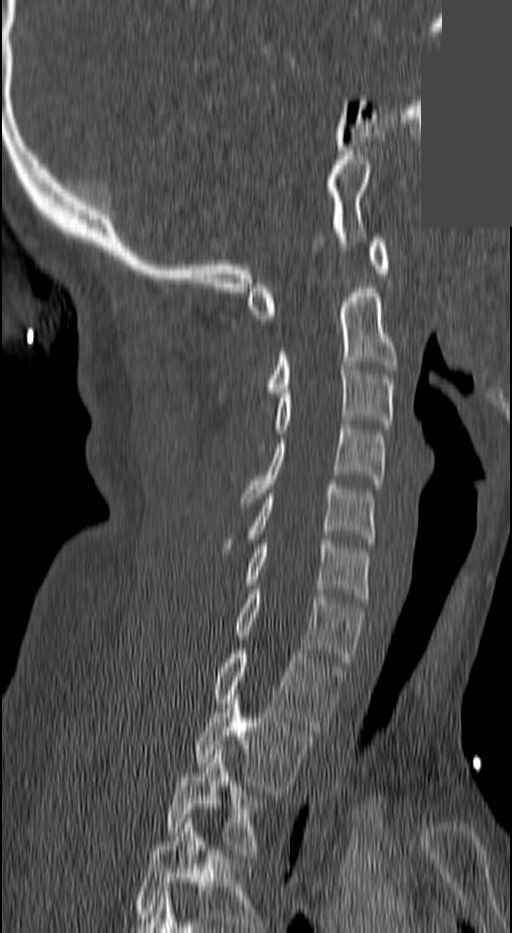
CT. sagittal reformat. part of the image is a flat gray fill, not anatomy. Boxes: x1:y1:x2:y2 in pixels. Labels in this scan begin with C1 at the top and end with T3 at the bottom. Vertebrae labeled: C1 at 246:238:388:319, C2 at 268:283:395:397, C3 at 254:366:392:452, C4 at 241:425:384:502, C5 at 246:485:373:543, C6 at 246:539:370:602, C7 at 235:590:362:666, T1 at 213:649:340:730, T2 at 195:695:311:794, T3 at 166:750:260:858.